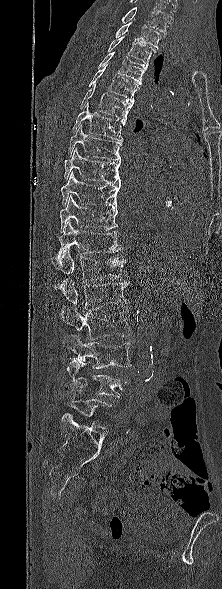

CT · sagittal view · 222 mm wide
Each box is [x1, y1, x2, y2] in pixels: top-left corner, then bottom-right corner.
In this scan, the topmost labeled vertebra is T1 and the lowest is L5.
{"vertebrae":{"L5":[58,389,111,421],"L4":[62,359,129,397],"L3":[63,335,131,368],"L2":[60,307,130,339],"L1":[55,278,129,313],"T12":[57,249,125,282],"T11":[51,221,122,267],"T10":[59,195,118,232],"T9":[60,172,120,207],"T8":[64,148,121,184],"T7":[68,125,121,160],"T6":[72,103,126,140],"T5":[80,84,133,120],"T4":[88,66,140,102],"T3":[97,51,147,84],"T2":[107,37,155,65],"T1":[115,22,161,49]}}